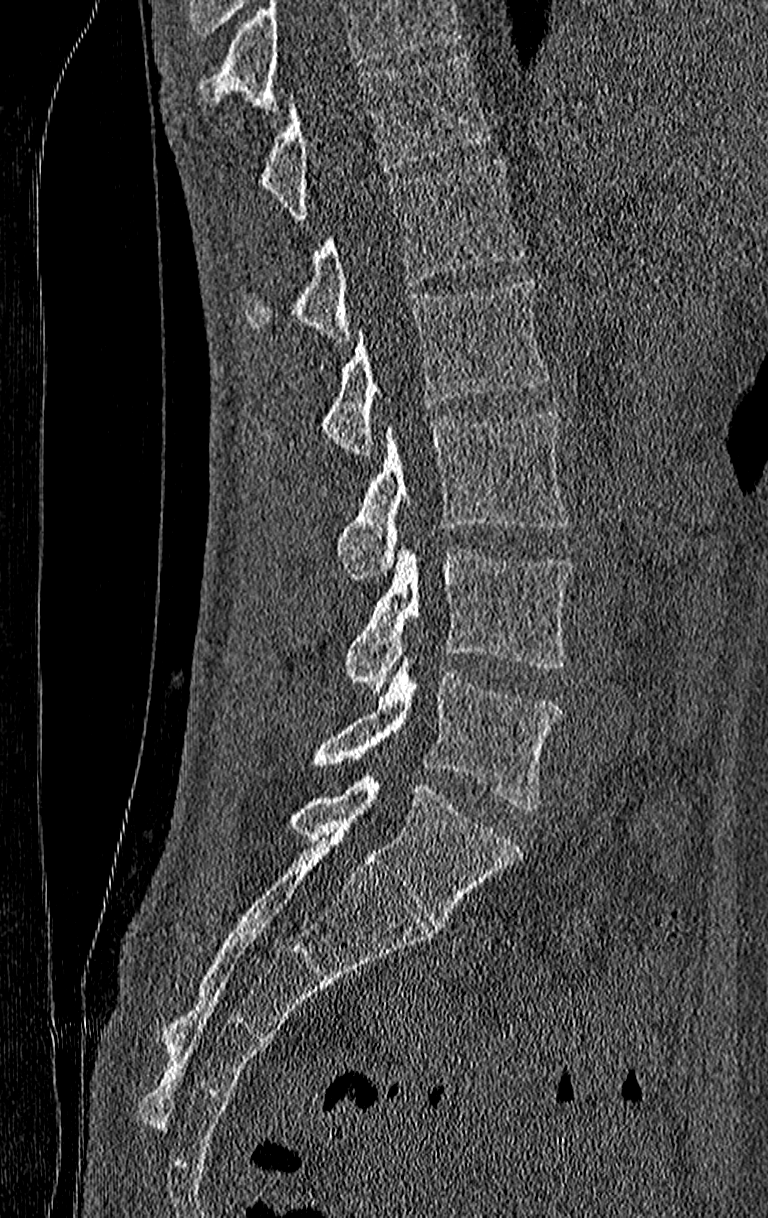
CT; sagittal view; Bone window (WL 400, WW 1800)

Boxes: x1 y1 x2 y2 (pixel coords, space-separated).
No box is given to a vertebra that the top edge of the scan cuts off.
The highest labeled vertebra in this scan is T11; the lowest is L4.
Vertebra bounding boxes:
- L4: 310 655 561 812
- L3: 346 546 572 692
- L2: 335 410 568 578
- L1: 320 278 550 457
- T12: 244 158 524 340
- T11: 258 56 488 220